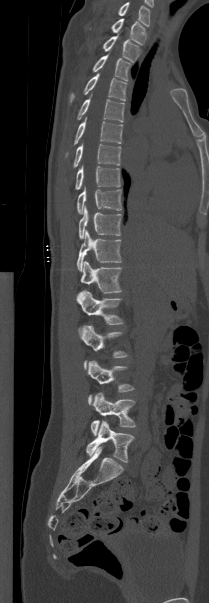

CT spine. sagittal view
Coordinates as <box>x1,y1,x2,y2</box>. In this scan, the topmost labeled vertebra is T1 and the lowest is L5. 17 vertebrae labeled — T1 at <box>88,18,145,44</box>; T2 at <box>102,35,139,61</box>; T3 at <box>92,54,130,80</box>; T4 at <box>70,73,126,101</box>; T5 at <box>77,96,124,122</box>; T6 at <box>65,118,122,156</box>; T7 at <box>73,143,121,167</box>; T8 at <box>75,165,120,189</box>; T9 at <box>77,187,121,213</box>; T10 at <box>78,207,121,239</box>; T11 at <box>76,230,121,271</box>; T12 at <box>80,261,121,293</box>; L1 at <box>77,290,123,324</box>; L2 at <box>80,325,127,367</box>; L3 at <box>86,360,134,405</box>; L4 at <box>90,393,135,435</box>; L5 at <box>86,421,133,462</box>.